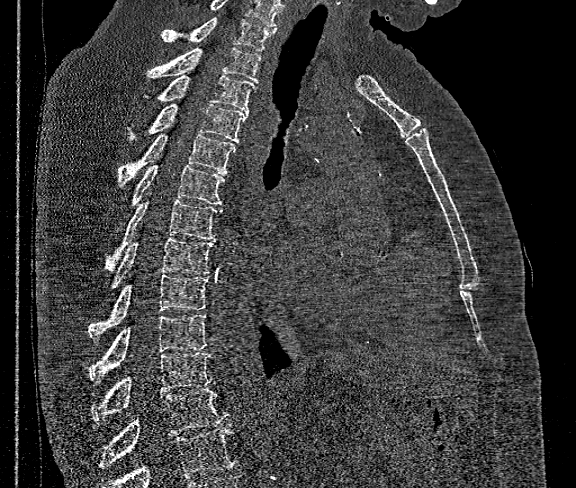

Spine CT · sagittal view · Bone window (WL 400, WW 1800)
Box values are [left, top, right, bottom] in pixels.
A vertebra cut off by the bottom edge of the scan is not labeled and has no box.
In this scan, the topmost labeled vertebra is T1 and the lowest is T12.
{"vertebrae":{"T1":[161,18,273,51],"T2":[145,47,261,81],"T3":[144,76,254,113],"T4":[126,104,246,143],"T5":[118,133,235,187],"T6":[129,165,224,209],"T7":[106,200,221,270],"T8":[108,237,213,291],"T9":[89,274,208,339],"T10":[89,314,207,380],"T11":[91,352,212,422],"T12":[99,389,227,468]}}